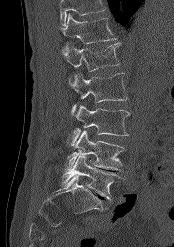

Spine computed tomography — sagittal view — bone window — the image spans 174 mm across — 174x247 px. Each box given as x1,y1,x2,y2. Where the top of the scan cuts through a vertebra, that vertebra gets no label or box. 6 vertebrae labeled — T12 at x1=61, y1=13, x2=116, y2=51; L1 at x1=62, y1=43, x2=120, y2=84; L2 at x1=69, y1=73, x2=127, y2=115; L3 at x1=70, y1=105, x2=129, y2=145; L4 at x1=66, y1=130, x2=124, y2=170; L5 at x1=61, y1=156, x2=119, y2=200.